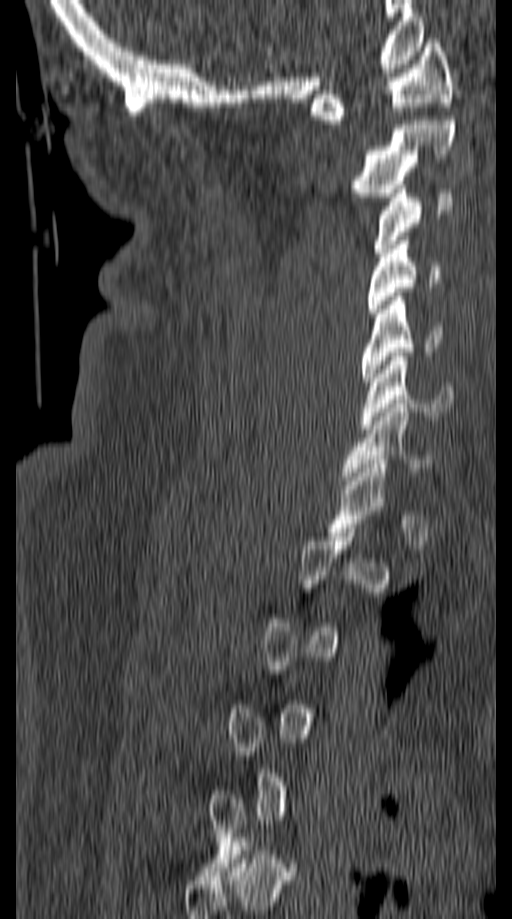 Spine CT — sagittal reformat — Bone window (WL 400, WW 1800). Bounding boxes as [x1, y1, x2, y2] in pixel coordinates. Each vertebra is boxed only on the slices from the first to the last where its cross-section reaches a third of its largest, so a slice outside that range leaves it unboxed. The labeled vertebrae in this slice are: C7 at [341, 399, 433, 480], C6 at [362, 352, 454, 429], C5 at [362, 292, 440, 386], C4 at [367, 241, 440, 313], C3 at [372, 185, 452, 257], C2 at [352, 120, 454, 197], C1 at [310, 39, 451, 124].